CT, spine · sagittal view · 255x331 px · 255 mm wide · 6 vertebrae labeled in this scan
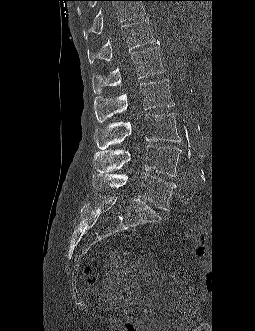

Box edges are left/top/right/bottom in pixels.
No box is given to a vertebra that the top edge of the scan cuts off.
Vertebra bounding boxes:
- T12: left=87, top=19, right=155, bottom=63
- L1: left=92, top=40, right=165, bottom=93
- L2: left=94, top=79, right=174, bottom=122
- L3: left=94, top=113, right=179, bottom=149
- L4: left=93, top=145, right=181, bottom=176
- L5: left=92, top=173, right=176, bottom=210